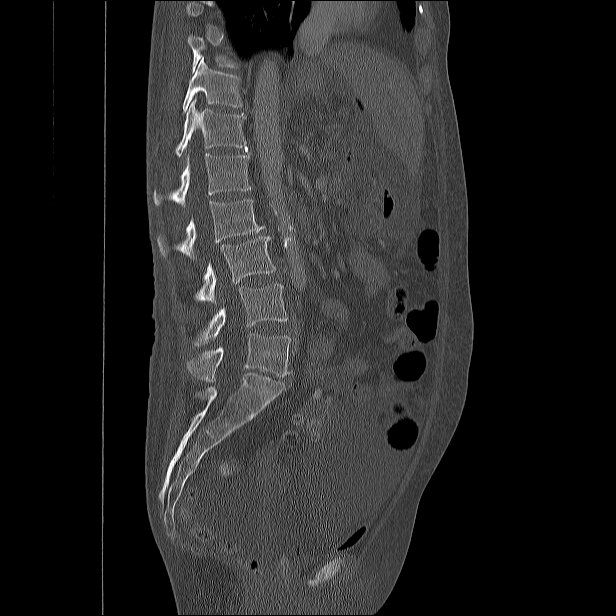

Spine CT; the image spans 482 mm across; sagittal view; Bone window (WL 400, WW 1800)
Boxes are given in columns x1, y1, x2, y2, the pixel coordinates of their top-left and bottom-right corners.
Each vertebra is boxed only on the slices from the first to the last where its cross-section reaches a third of its largest, so a slice outside that range leaves it unboxed.
| vertebra | x1 | y1 | x2 | y2 |
|---|---|---|---|---|
| L5 | 186 | 334 | 290 | 381 |
| L4 | 194 | 284 | 286 | 347 |
| L3 | 195 | 236 | 275 | 303 |
| L2 | 157 | 199 | 265 | 258 |
| L1 | 153 | 153 | 251 | 206 |
| T12 | 175 | 98 | 247 | 156 |
| T11 | 183 | 57 | 242 | 113 |